CT spine — Sagittal slice 292/512 — scan covers 8 annotated vertebrae
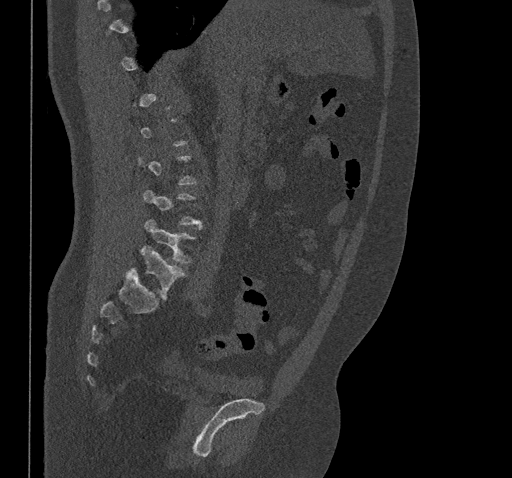

Bounding boxes as [x1, y1, x2, y2] in pixel coordinates. A vertebra is boxed only from the first to the last slice where its cross-section is at least a third of its largest; slices outside that range leave it without a box. 2 vertebrae labeled — L5 at [128, 246, 185, 299]; L4 at [144, 219, 195, 263].